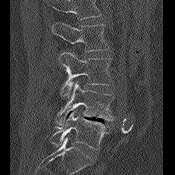

CT, spine — sagittal view — 175x175 px

No box is given to a vertebra that the top edge of the scan cuts off.
<vertebrae><v name="L2" x1="52" y1="22" x2="109" y2="51"/><v name="L3" x1="59" y1="52" x2="113" y2="98"/><v name="L4" x1="56" y1="81" x2="114" y2="125"/><v name="L5" x1="49" y1="111" x2="108" y2="149"/></vertebrae>